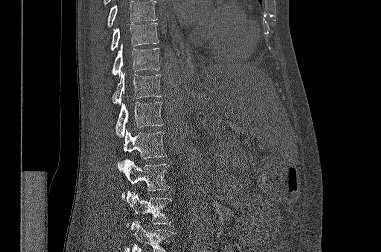 CT · sagittal view · the image spans 381 mm across · Bone window (WL 400, WW 1800)
Boxes: x1 y1 x2 y2 (pixel coords, space-separated). Where the top or bottom of the scan cuts through a vertebra, that vertebra gets no label or box. The labeled vertebrae in this slice are: T9 at 111 23 158 50, T10 at 112 44 159 75, T11 at 112 71 161 104, T12 at 115 102 163 137, L1 at 123 129 166 158, L2 at 117 159 169 198, L3 at 125 191 171 225.